CT spine; image 140 mm wide; sagittal plane, index 262; 512x933 px; a region is masked with a constant gray value
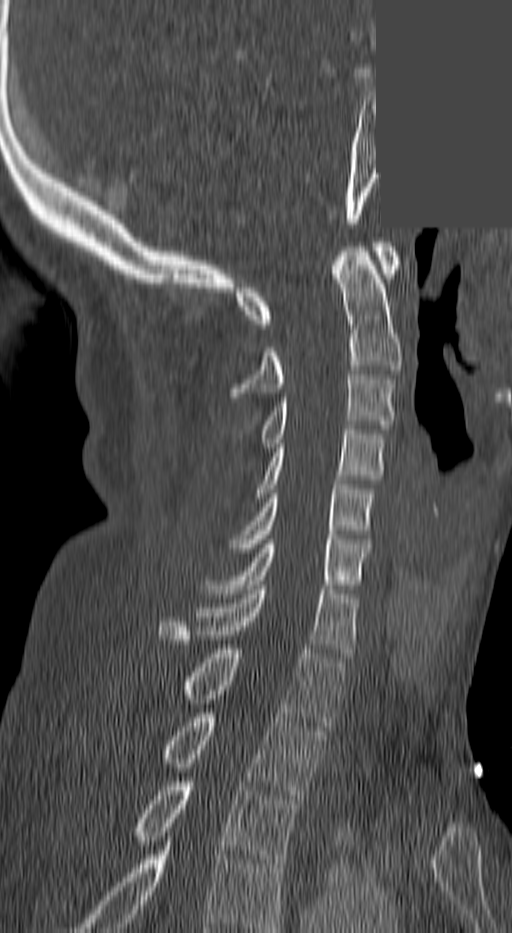

Boxes: x1:y1:x2:y2 in pixels.
Labels in this scan begin with C1 at the top and end with T3 at the bottom.
T3: 133:777:300:863
T2: 162:713:323:799
T1: 184:649:344:730
C7: 159:585:355:657
C6: 202:539:370:593
C5: 232:480:373:552
C4: 257:430:384:497
C3: 261:375:395:447
C2: 232:247:399:397
C1: 235:242:399:328